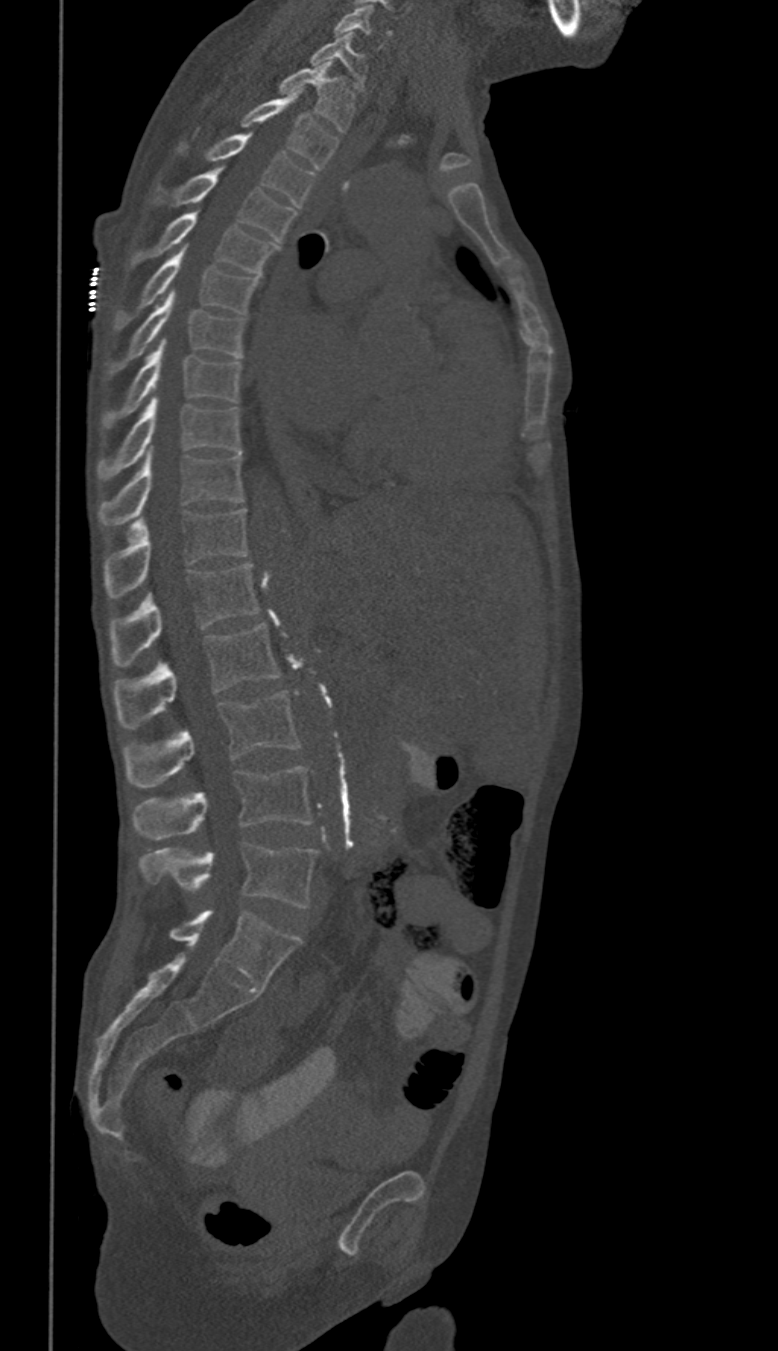 CT. 350 mm wide. sagittal view
In these labels the spine has no T12: the thoracic vertebrae end at T11, and L1 comes next.
<vertebrae><v name="C6" x1="336" y1="5" x2="392" y2="48"/><v name="C7" x1="311" y1="32" x2="365" y2="88"/><v name="T1" x1="280" y1="63" x2="354" y2="131"/><v name="T2" x1="242" y1="92" x2="336" y2="168"/><v name="T3" x1="179" y1="134" x2="313" y2="206"/><v name="T4" x1="175" y1="167" x2="294" y2="242"/><v name="T5" x1="134" y1="212" x2="274" y2="273"/><v name="T6" x1="115" y1="245" x2="256" y2="328"/><v name="T7" x1="112" y1="289" x2="244" y2="368"/><v name="T8" x1="105" y1="338" x2="241" y2="426"/><v name="T9" x1="97" y1="396" x2="241" y2="477"/><v name="T10" x1="100" y1="449" x2="244" y2="524"/><v name="T11" x1="105" y1="509" x2="248" y2="597"/><v name="L1" x1="111" y1="563" x2="259" y2="666"/><v name="L2" x1="112" y1="623" x2="279" y2="728"/><v name="L3" x1="125" y1="692" x2="298" y2="788"/><v name="L4" x1="134" y1="767" x2="312" y2="839"/><v name="L5" x1="140" y1="843" x2="316" y2="908"/></vertebrae>